Spine CT; sagittal view; 257 mm across the image; Bone window (WL 400, WW 1800); a region is blanked to uniform black, ending in a straight edge
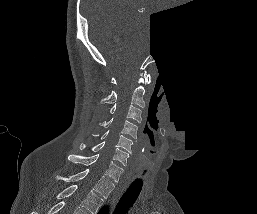

This scan's labels start at C1 at the top and end at T1 at the bottom.
<vertebrae><v name="C1" x1="111" y1="70" x2="150" y2="84"/><v name="C2" x1="101" y1="77" x2="144" y2="107"/><v name="C3" x1="109" y1="103" x2="141" y2="122"/><v name="C4" x1="99" y1="118" x2="137" y2="138"/><v name="C5" x1="92" y1="130" x2="132" y2="153"/><v name="C6" x1="79" y1="141" x2="129" y2="166"/><v name="C7" x1="68" y1="154" x2="123" y2="182"/><v name="T1" x1="56" y1="169" x2="114" y2="198"/></vertebrae>